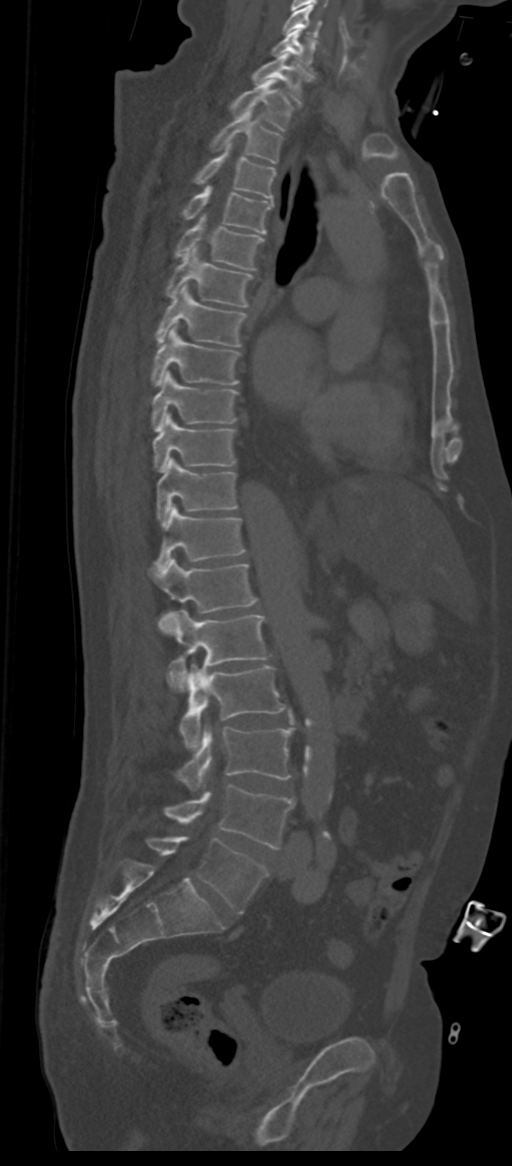

CT, spine. sagittal view. the image is 311 mm wide
Boxes below are [x1, y1, x2, y2] in pixels.
These labels give the spine a sixth lumbar vertebra, L6, below L5.
{"vertebrae":{"L6":[147,837,268,913],"L5":[163,784,294,849],"L4":[176,725,292,790],"L3":[180,664,286,750],"L2":[168,610,268,691],"L1":[150,559,256,612],"T12":[155,504,245,569],"T11":[157,457,236,525],"T10":[153,412,236,472],"T9":[152,371,238,431],"T8":[152,323,240,386],"T7":[155,284,246,347],"T6":[165,247,253,307],"T5":[175,214,263,269],"T4":[181,185,273,233],"T3":[193,142,276,199],"T2":[209,109,282,162],"T1":[229,79,294,131],"C7":[252,53,310,103],"C6":[272,30,316,72],"C5":[283,5,322,37]}}